Computed tomography of the spine; image width 153 mm; sagittal reformat; bone window; 153x300 px
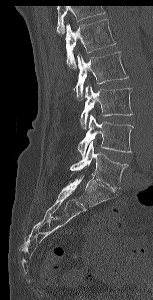

Boxes: x1 y1 x2 y2 (pixel coords, space-separated). No box is given to a vertebra that the top edge of the scan cuts off. 5 vertebrae labeled — L1 at 65 19 116 68; L2 at 75 51 128 100; L3 at 80 85 133 129; L4 at 78 114 133 156; L5 at 70 142 128 188.